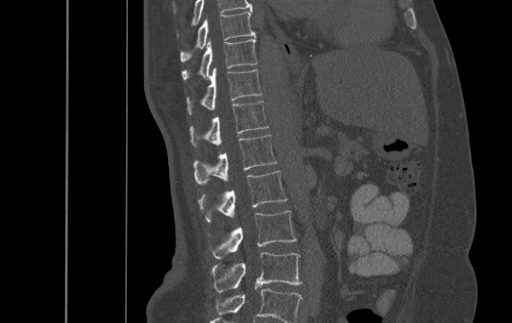
Spine CT · sagittal view · 512x323 px · image width 500 mm
Each box given as x1,y1,x2,y2. Labels in this scan begin with T9 at the top and end with L4 at the bottom. The labeled vertebrae in this slice are: L4 at x1=211, y1=252, x2=301, y2=292, L3 at x1=209, y1=210, x2=296, y2=258, L2 at x1=198, y1=171, x2=287, y2=221, L1 at x1=194, y1=134, x2=276, y2=184, T12 at x1=190, y1=100, x2=268, y2=146, T11 at x1=187, y1=68, x2=261, y2=114, T10 at x1=182, y1=36, x2=257, y2=80, T9 at x1=181, y1=11, x2=255, y2=60.